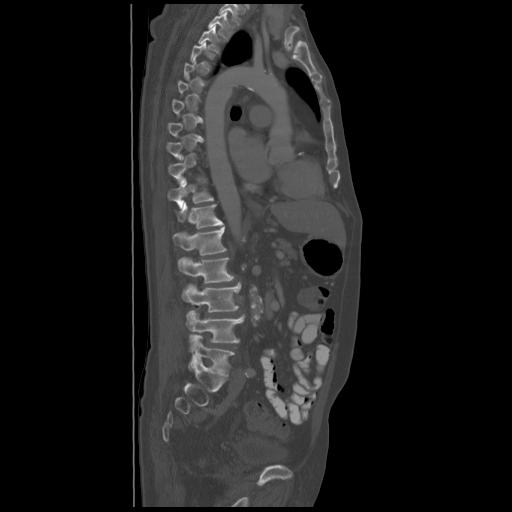

Spine CT. sagittal reformat

Box values are [left, top, right, bottom] in pixels.
Each vertebra is boxed only on the slices from the first to the last where its cross-section reaches a third of its largest, so a slice outside that range leaves it unboxed.
The highest labeled vertebra in this scan is T2; the lowest is L5.
{"vertebrae":{"L5":[190,334,234,375],"L4":[185,311,244,343],"L3":[182,282,240,312],"L2":[177,257,234,283],"L1":[172,227,226,255],"T12":[176,203,223,228],"T11":[168,182,213,209],"T3":[198,26,225,52],"T2":[208,12,234,38]}}